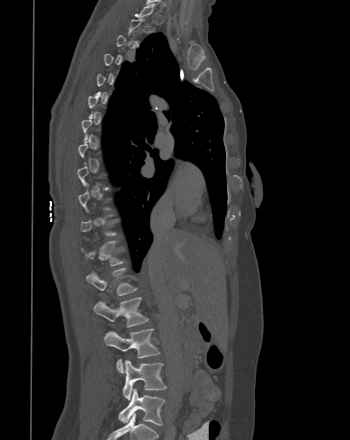 CT — sagittal view — bone window — 350x440 px
A vertebra is boxed only from the first to the last slice where its cross-section is at least a third of its largest; slices outside that range leave it without a box.
<vertebrae><v name="L5" x1="118" y1="389" x2="164" y2="425"/><v name="L4" x1="123" y1="360" x2="166" y2="400"/><v name="L3" x1="104" y1="328" x2="160" y2="373"/><v name="L2" x1="94" y1="297" x2="148" y2="327"/><v name="L1" x1="86" y1="268" x2="137" y2="295"/><v name="T12" x1="81" y1="241" x2="123" y2="266"/></vertebrae>